Spine computed tomography; sagittal reformat; 300 mm across the image
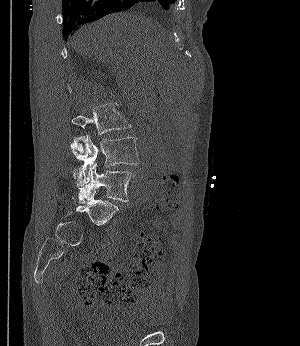 Box values are [left, top, right, bottom] in pixels.
{"vertebrae":{"L3":[72,103,130,152],"L4":[70,135,140,185],"L5":[72,162,134,203]}}